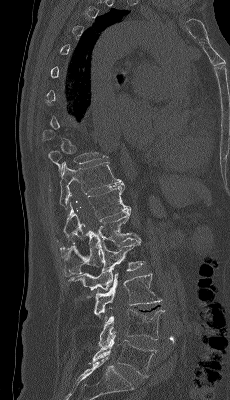 Computed tomography of the spine — sagittal reformat — W/L 1800/400 HU — 230x400 px — image 230 mm wide
A vertebra is boxed only from the first to the last slice where its cross-section is at least a third of its largest; slices outside that range leave it without a box.
<vertebrae><v name="T11" x1="59" y1="162" x2="123" y2="209"/><v name="T12" x1="57" y1="183" x2="130" y2="242"/><v name="L1" x1="60" y1="211" x2="137" y2="276"/><v name="L2" x1="68" y1="238" x2="144" y2="290"/><v name="L3" x1="94" y1="273" x2="161" y2="320"/><v name="L4" x1="98" y1="309" x2="164" y2="346"/><v name="L5" x1="92" y1="332" x2="156" y2="377"/></vertebrae>